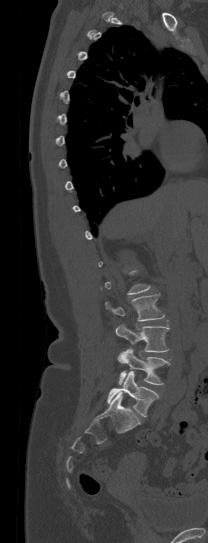 CT · sagittal view · 208x543 px
Each box is [x1, y1, x2, y2] in pixels: top-left corner, then bottom-right corner.
Not every vertebra on this slice has a box: a vertebra is boxed only from the first to the last slice where its cross-section is at least a third of its largest, and this slice is outside that range for at least one of them.
{"vertebrae":{"L5":[107,371,158,416],"L4":[117,348,170,385],"L3":[115,324,170,362],"L2":[105,293,164,321]}}